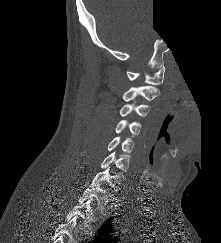

CT, spine; sagittal view; bone-window reconstruction; 221x243 px; part of the image is constant black where the scan was masked

Boxes: x1:y1:x2:y2 in pixels.
C1: 127:66:164:84
C2: 122:86:159:101
C3: 119:100:150:117
C4: 115:119:141:137
C5: 108:136:134:152
C6: 100:151:131:173
C7: 90:167:123:191
T1: 78:184:111:211
T2: 65:198:94:236